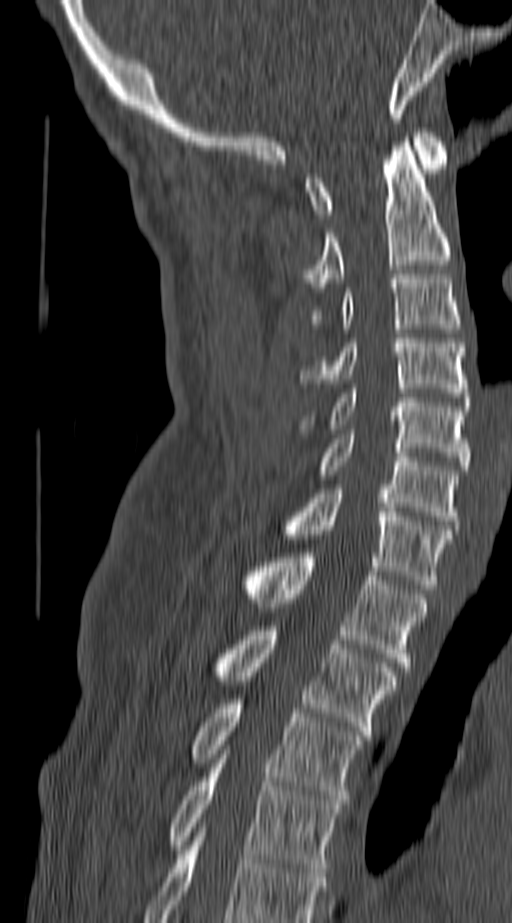

Spine CT · sagittal view · 140 mm wide
Columns x1, y1, x2, y2 give each box's top-left and bottom-right pixels.
The highest labeled vertebra in this scan is C1; the lowest is T4.
| vertebra | x1 | y1 | x2 | y2 |
|---|---|---|---|---|
| T4 | 170 | 754 | 340 | 872 |
| T3 | 192 | 699 | 362 | 804 |
| T2 | 217 | 626 | 395 | 735 |
| T1 | 246 | 553 | 425 | 671 |
| C7 | 287 | 489 | 450 | 589 |
| C6 | 320 | 434 | 457 | 525 |
| C5 | 301 | 389 | 468 | 470 |
| C4 | 301 | 334 | 468 | 401 |
| C3 | 312 | 274 | 461 | 328 |
| C2 | 305 | 142 | 450 | 292 |
| C1 | 305 | 128 | 447 | 218 |